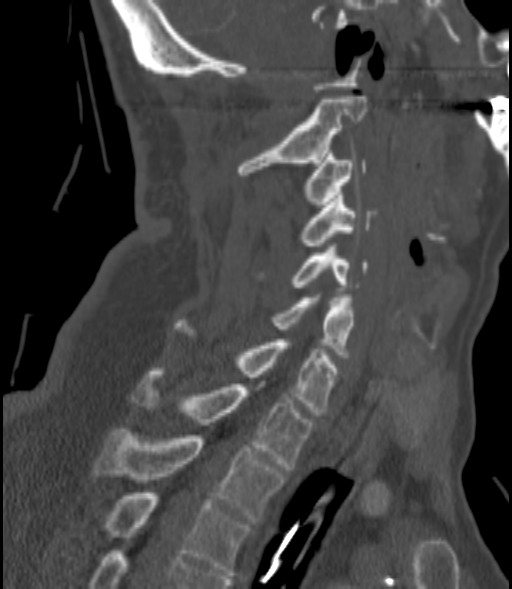

CT. sagittal view. bone-window reconstruction. the image spans 200 mm across
Box values are [left, top, right, bottom] in pixels.
{"vertebrae":{"C2":[239,96,366,175],"C3":[305,150,366,207],"C4":[303,192,374,249],"C5":[293,246,367,287],"C6":[275,294,353,354],"C7":[174,323,338,415],"T1":[134,371,312,469],"T2":[93,429,284,521],"T3":[101,493,248,575]}}